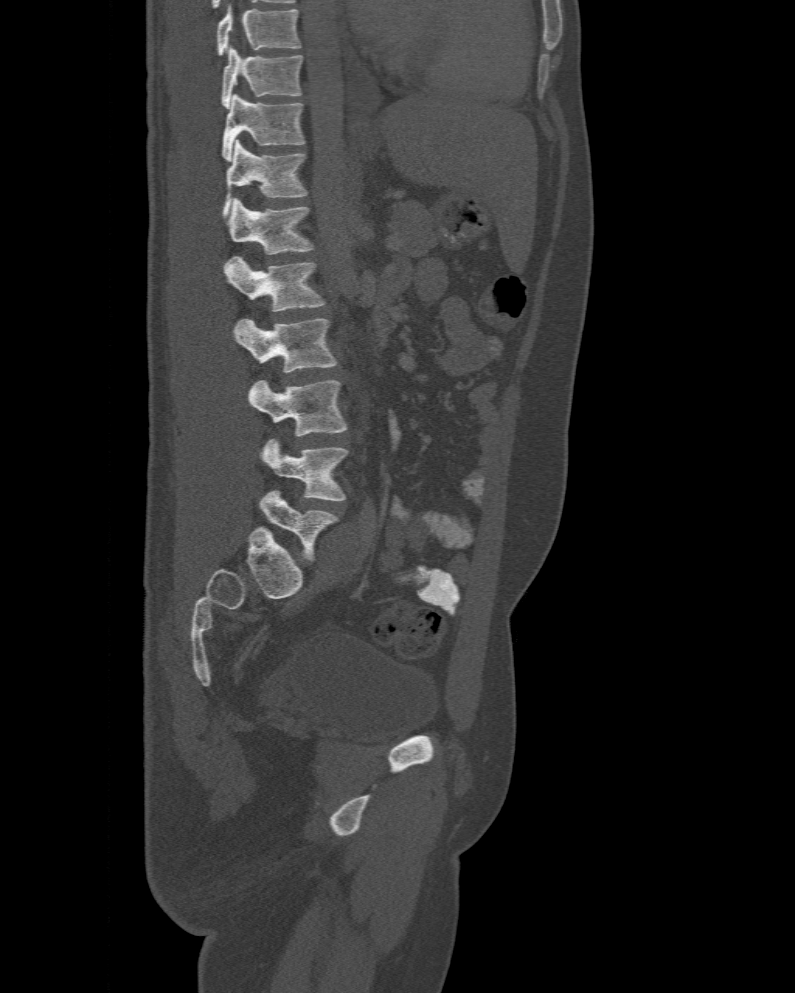 CT — sagittal view
Each box given as x1,y1,x2,y2.
The highest labeled vertebra in this scan is T10; the lowest is L6.
These labels give the spine a sixth lumbar vertebra, L6, below L5.
| vertebra | x1 | y1 | x2 | y2 |
|---|---|---|---|---|
| T10 | 220 | 47 | 302 | 107 |
| T11 | 222 | 93 | 303 | 161 |
| T12 | 222 | 139 | 308 | 217 |
| L1 | 228 | 197 | 314 | 254 |
| L2 | 224 | 256 | 325 | 311 |
| L3 | 233 | 318 | 337 | 372 |
| L4 | 248 | 380 | 347 | 436 |
| L5 | 261 | 438 | 347 | 501 |
| L6 | 259 | 490 | 337 | 561 |